Spine CT. Sagittal slice 286/768. bone-window reconstruction. 768x1218 px
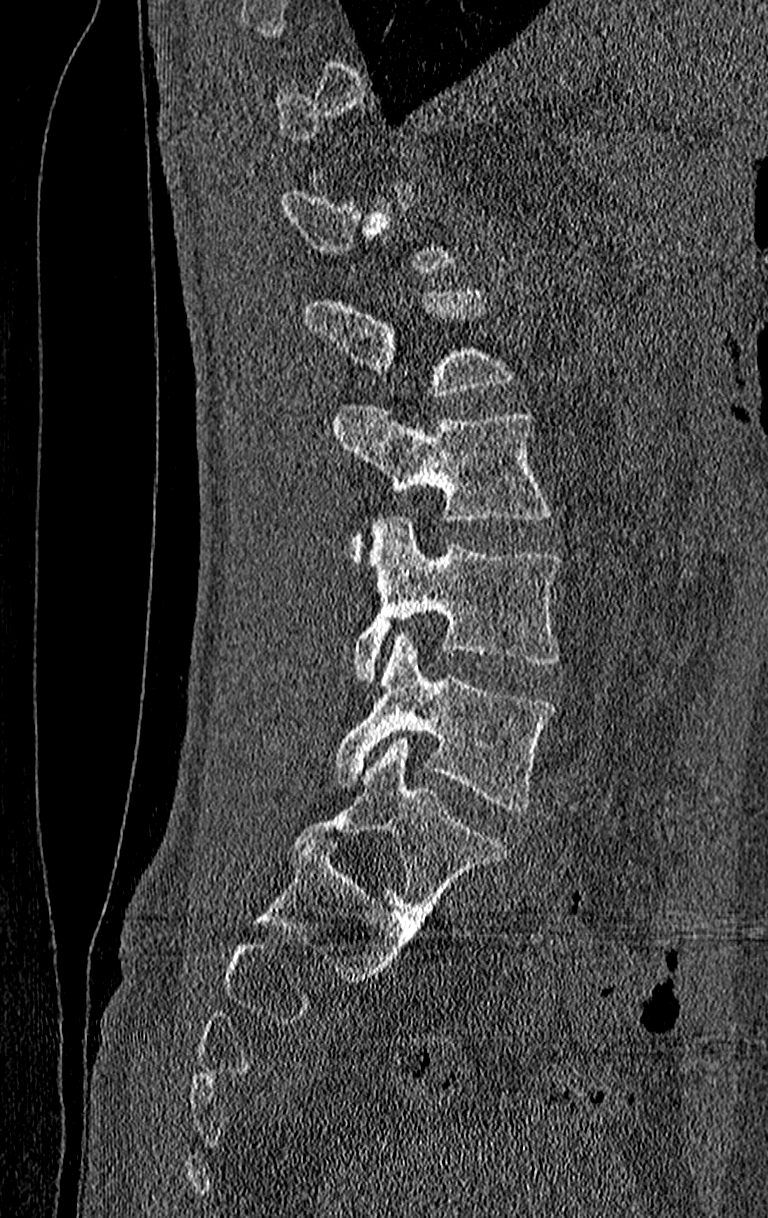 In the table, x1 and y1 are a box's top-left corner and x2 and y2 its bottom-right corner, in pixels.
Not every vertebra on this slice has a box: a vertebra is boxed only from the first to the last slice where its cross-section is at least a third of its largest, and this slice is outside that range for at least one of them.
In this scan, the topmost labeled vertebra is T11 and the lowest is L4.
| vertebra | x1 | y1 | x2 | y2 |
|---|---|---|---|---|
| L1 | 306 | 286 | 513 | 396 |
| L2 | 331 | 406 | 554 | 560 |
| L3 | 353 | 517 | 557 | 680 |
| L4 | 331 | 634 | 557 | 812 |